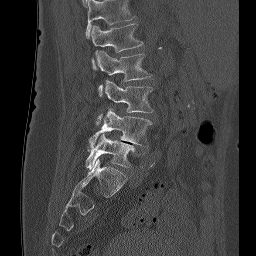

CT · sagittal view · 256x256 px
Each box given as x1,y1,x2,y2. In this scan, the topmost labeled vertebra is L1 and the lowest is L5. Vertebrae labeled: L1 at x1=91, y1=23, x2=143, y2=68, L2 at x1=94, y1=51, x2=152, y2=96, L3 at x1=96, y1=79, x2=153, y2=125, L4 at x1=89, y1=108, x2=152, y2=149, L5 at x1=86, y1=134, x2=134, y2=168.